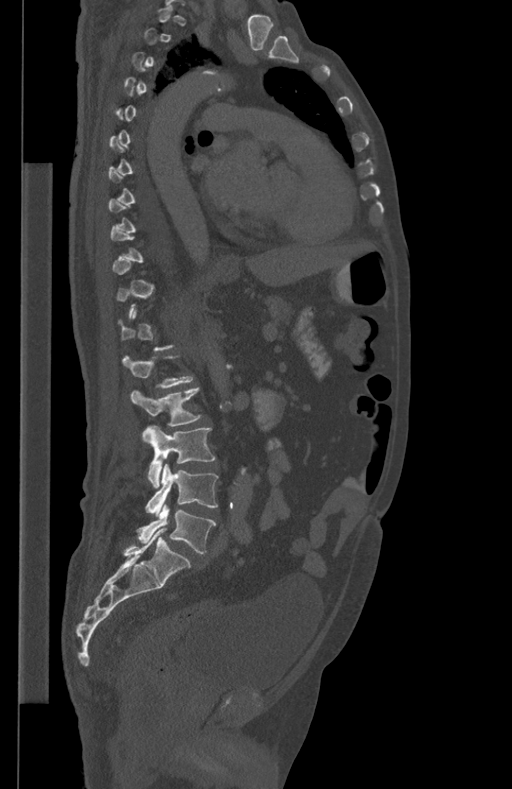
Spine computed tomography · sagittal view · bone window · 434 mm image width · 512x789 px
Boxes: x1:y1:x2:y2 in pixels.
Not every vertebra on this slice has a box: a vertebra is boxed only from the first to the last slice where its cross-section is at least a third of its largest, and this slice is outside that range for at least one of them.
L1: 123:355:192:387
L2: 131:388:202:426
L3: 143:426:216:487
L4: 145:463:218:513
L5: 138:504:216:553